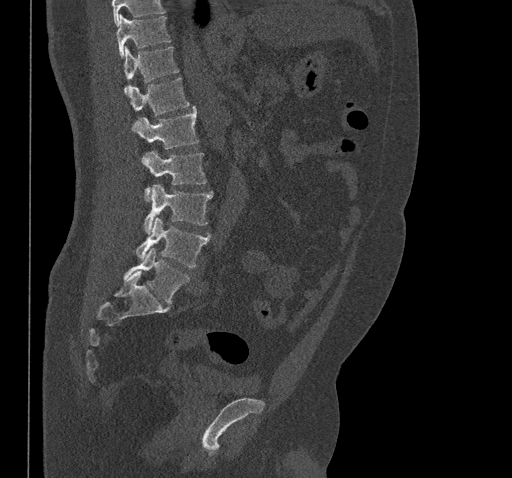
Spine CT; sagittal view; W/L 1800/400 HU; 512x478 px
In the table, x1 and y1 are a box's top-left corner and x2 and y2 its bottom-right corner, in pixels.
Where the top of the scan cuts through a vertebra, that vertebra gets no label or box.
| vertebra | x1 | y1 | x2 | y2 |
|---|---|---|---|---|
| T10 | 117 | 15 | 171 | 57 |
| T11 | 123 | 47 | 178 | 93 |
| T12 | 129 | 77 | 189 | 115 |
| L1 | 133 | 106 | 198 | 149 |
| L2 | 143 | 150 | 206 | 201 |
| L3 | 143 | 185 | 213 | 234 |
| L4 | 135 | 218 | 210 | 267 |
| L5 | 124 | 248 | 189 | 303 |